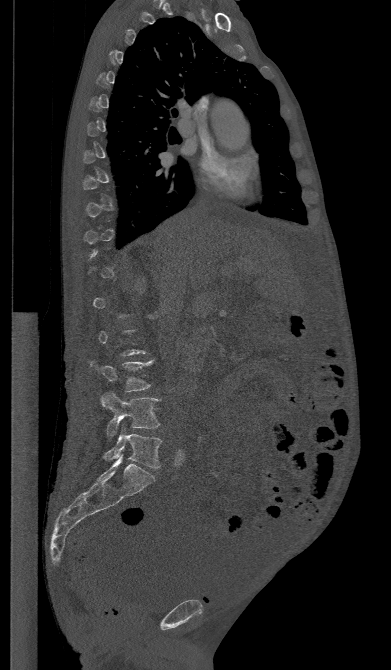

Computed tomography of the spine; sagittal view; W/L 1800/400 HU
Coordinates as <box>x1,y1,x2,y2</box>.
Each vertebra is boxed only on the slices from the first to the last where its cross-section reaches a third of its largest, so a slice outside that range leaves it unboxed.
L5: <box>104,427,162,468</box>
L4: <box>101,393,159,437</box>
L3: <box>91,359,154,391</box>